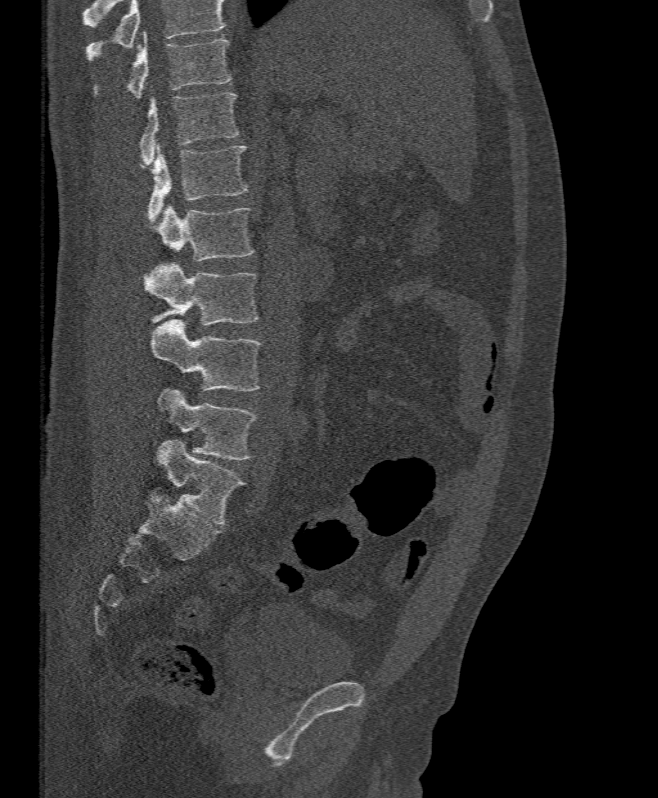
Spine CT; sagittal view; 658x798 px
Each box given as x1,y1,x2,y2. No box is given to a vertebra that the top edge of the scan cuts off. 7 vertebrae labeled — T11 at x1=93, y1=33, x2=230, y2=97; T12 at x1=138, y1=92, x2=239, y2=164; L1 at x1=147, y1=145, x2=248, y2=222; L2 at x1=156, y1=205, x2=255, y2=261; L3 at x1=144, y1=262, x2=259, y2=326; L4 at x1=149, y1=319, x2=263, y2=391; L5 at x1=157, y1=387, x2=257, y2=459.